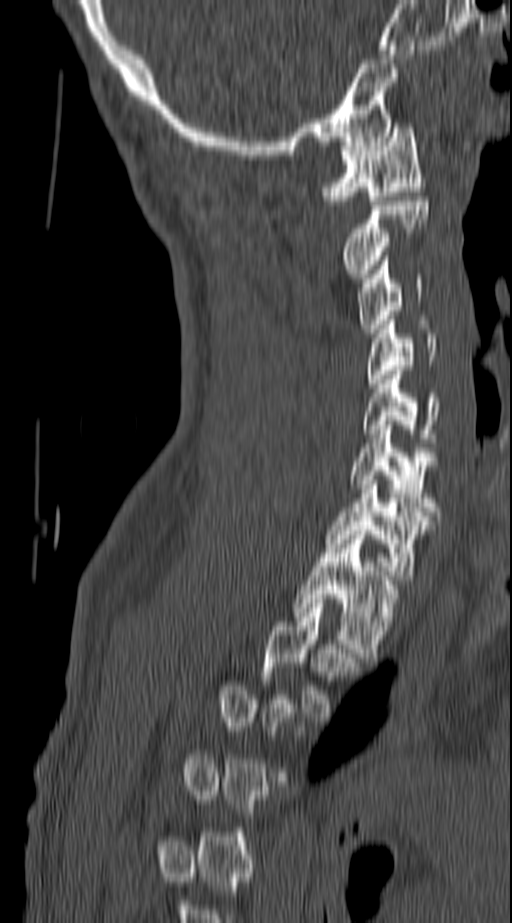

Computed tomography of the spine — sagittal view — 512x923 px. Bounding boxes as [x1, y1, x2, y2] in pixel coordinates.
A vertebra gets a box only on the slices from the first to the last where its cross-section is at least a third of its largest; on a slice outside that range it gets none.
Vertebra bounding boxes:
- C1: [323, 123, 425, 200]
- C2: [341, 201, 428, 278]
- C3: [357, 256, 421, 333]
- C4: [367, 320, 436, 388]
- C5: [363, 370, 439, 442]
- C6: [349, 425, 439, 516]
- C7: [327, 480, 432, 580]
- T1: [294, 530, 399, 657]
- T2: [261, 599, 362, 721]